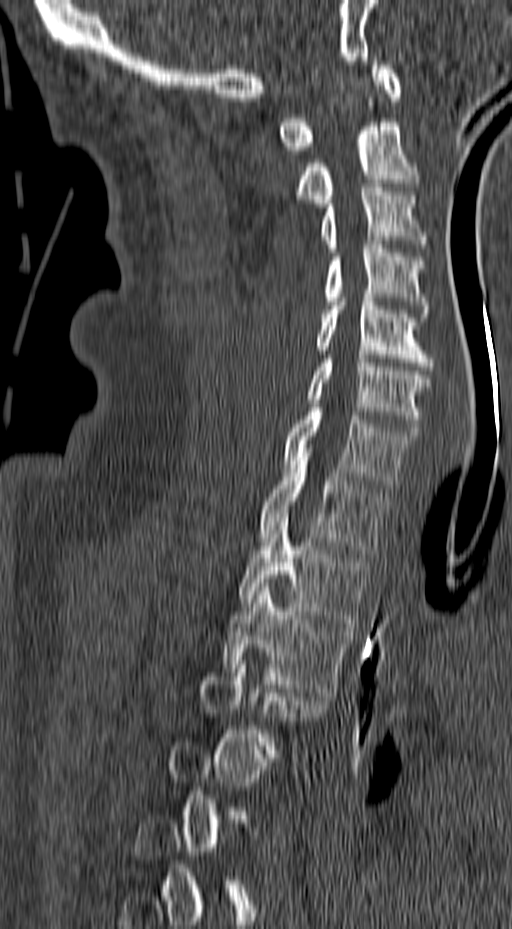
CT — sagittal reformat — W/L 1800/400 HU — 512x929 px
Boxes: x1 y1 x2 y2 (pixel coords, space-separated).
Each vertebra is boxed only on the slices from the first to the last where its cross-section reaches a third of its largest, so a slice outside that range leaves it unboxed.
C1: 278 57 401 154
C2: 295 122 418 207
C3: 321 183 428 252
C4: 324 241 430 317
C5: 316 294 433 370
C6: 308 355 431 431
C7: 282 404 418 488
T1: 259 457 388 557
T2: 239 514 369 627
T3: 223 583 349 696